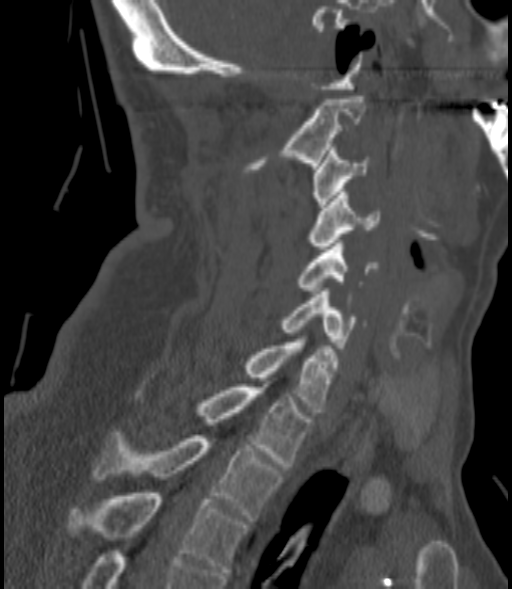
Computed tomography of the spine — sagittal reformat — 512x589 px. Boxes: x1 y1 x2 y2 (pixel coords, space-separated). 9 vertebrae labeled — T3 at 65 493 246 572; T2 at 93 432 281 521; T1 at 198 384 310 466; C7 at 247 339 338 412; C6 at 282 288 365 348; C5 at 298 240 378 293; C4 at 311 189 379 249; C3 at 313 147 371 207; C2 at 250 96 363 169.